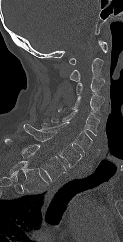

Spine CT · 123 mm across the image · sagittal reformat

In the table, x1 and y1 are a box's top-left corner and x2 and y2 its bottom-right corner, in pixels.
Labels in this scan begin with C1 at the top and end with T1 at the bottom.
| vertebra | x1 | y1 | x2 | y2 |
|---|---|---|---|---|
| T1 | 4 | 138 | 66 | 181 |
| C7 | 23 | 124 | 82 | 167 |
| C6 | 40 | 122 | 92 | 153 |
| C5 | 51 | 110 | 99 | 135 |
| C4 | 58 | 94 | 104 | 115 |
| C3 | 76 | 78 | 104 | 94 |
| C2 | 69 | 58 | 103 | 81 |
| C1 | 69 | 40 | 107 | 64 |